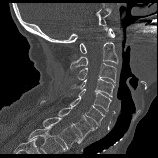 Spine computed tomography; sagittal view
Boxes below are [x1, y1, x2, y2] in pixels.
{"vertebrae":{"T1":[43,117,82,149],"C7":[40,100,96,138],"C6":[70,98,104,126],"C5":[78,89,111,111],"C4":[69,78,115,97],"C3":[76,63,116,85],"C2":[70,42,118,70],"C1":[79,28,115,53]}}